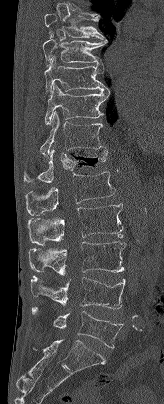 Spine computed tomography — sagittal reformat
This scan's labels start at T7 at the top and end at L5 at the bottom.
<vertebrae><v name="L5" x1="32" y1="307" x2="123" y2="348"/><v name="L4" x1="30" y1="276" x2="125" y2="309"/><v name="L3" x1="28" y1="241" x2="126" y2="275"/><v name="L2" x1="27" y1="203" x2="123" y2="245"/><v name="L1" x1="25" y1="171" x2="115" y2="215"/><v name="T12" x1="23" y1="148" x2="107" y2="182"/><v name="T11" x1="40" y1="112" x2="106" y2="155"/><v name="T10" x1="44" y1="83" x2="109" y2="125"/><v name="T9" x1="44" y1="56" x2="108" y2="93"/><v name="T8" x1="42" y1="38" x2="107" y2="67"/><v name="T7" x1="44" y1="14" x2="107" y2="40"/></vertebrae>